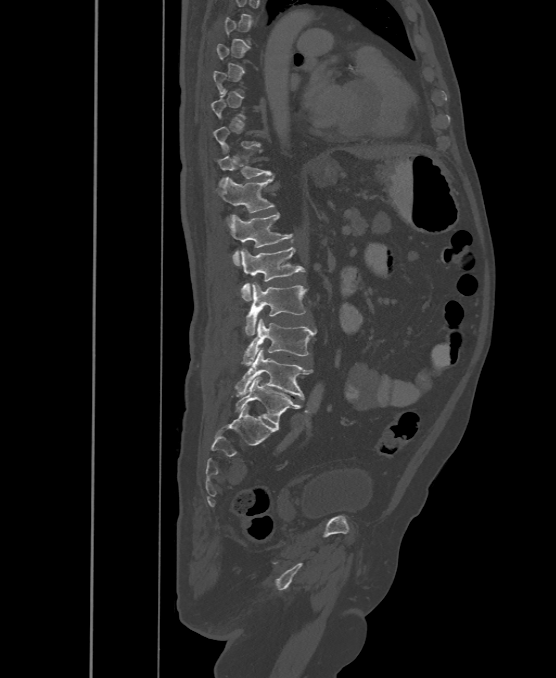 Computed tomography of the spine; sagittal view

Each vertebra is boxed only on the slices from the first to the last where its cross-section reaches a third of its largest, so a slice outside that range leaves it unboxed.
In these labels the spine has an L6, a sixth lumbar vertebra below L5.
<vertebrae><v name="T11" x1="217" y1="153" x2="270" y2="183"/><v name="T12" x1="215" y1="177" x2="274" y2="213"/><v name="L1" x1="228" y1="213" x2="292" y2="265"/><v name="L2" x1="240" y1="247" x2="305" y2="301"/><v name="L3" x1="244" y1="283" x2="307" y2="335"/><v name="L4" x1="242" y1="318" x2="316" y2="365"/><v name="L5" x1="234" y1="348" x2="313" y2="398"/><v name="L6" x1="235" y1="377" x2="300" y2="425"/></vertebrae>